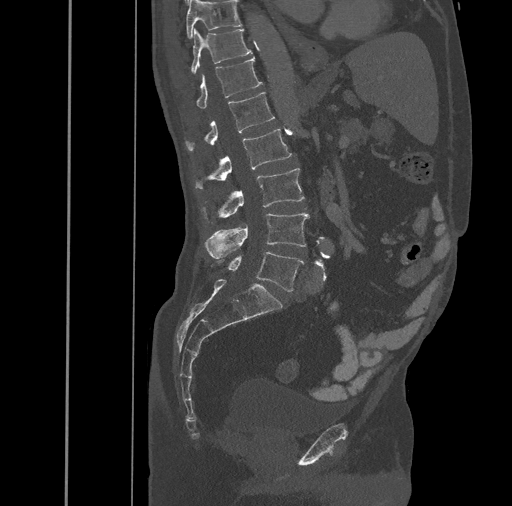
CT · sagittal reformat
Bounding boxes as [x1, y1, x2, y2] in pixel coordinates. 8 vertebrae labeled — L5 at [217, 252, 303, 291]; L4 at [205, 213, 308, 258]; L3 at [202, 168, 304, 223]; L2 at [195, 128, 292, 190]; L1 at [186, 92, 275, 152]; T12 at [196, 56, 262, 107]; T11 at [190, 28, 252, 73]; T10 at [186, 0, 242, 38].